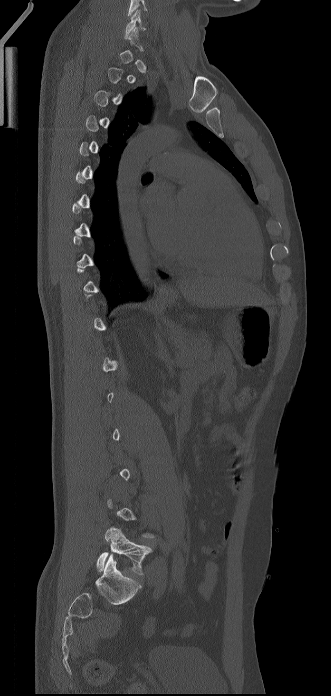 CT spine — sagittal view — 331x696 px — 331 mm wide
A vertebra gets a box only on the slices from the first to the last where its cross-section is at least a third of its largest; on a slice outside that range it gets none.
<vertebrae><v name="C6" x1="124" y1="9" x2="146" y2="39"/><v name="L5" x1="96" y1="527" x2="152" y2="574"/></vertebrae>